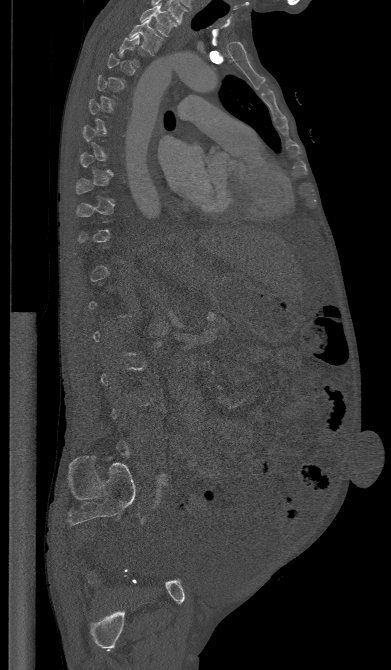 CT — sagittal view

Boxes are (x1, y1, x2, y2) in pixels.
A vertebra gets a box only on the slices from the first to the last where its cross-section is at least a third of its largest; on a slice outside that range it gets none.
Vertebra bounding boxes:
- T2: (128, 18, 163, 56)
- T1: (140, 5, 176, 36)